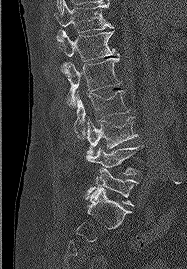

Spine computed tomography; sagittal view; W/L 1800/400 HU. Coordinates as <box>x1,y1,x2,y2</box>. Vertebrae labeled: L5 at <box>86,168,138,206</box>, L4 at <box>87,145,142,185</box>, L3 at <box>86,117,137,158</box>, L2 at <box>74,90,129,138</box>, L1 at <box>61,58,121,107</box>, T12 at <box>57,30,118,74</box>, T11 at <box>56,0,113,32</box>.